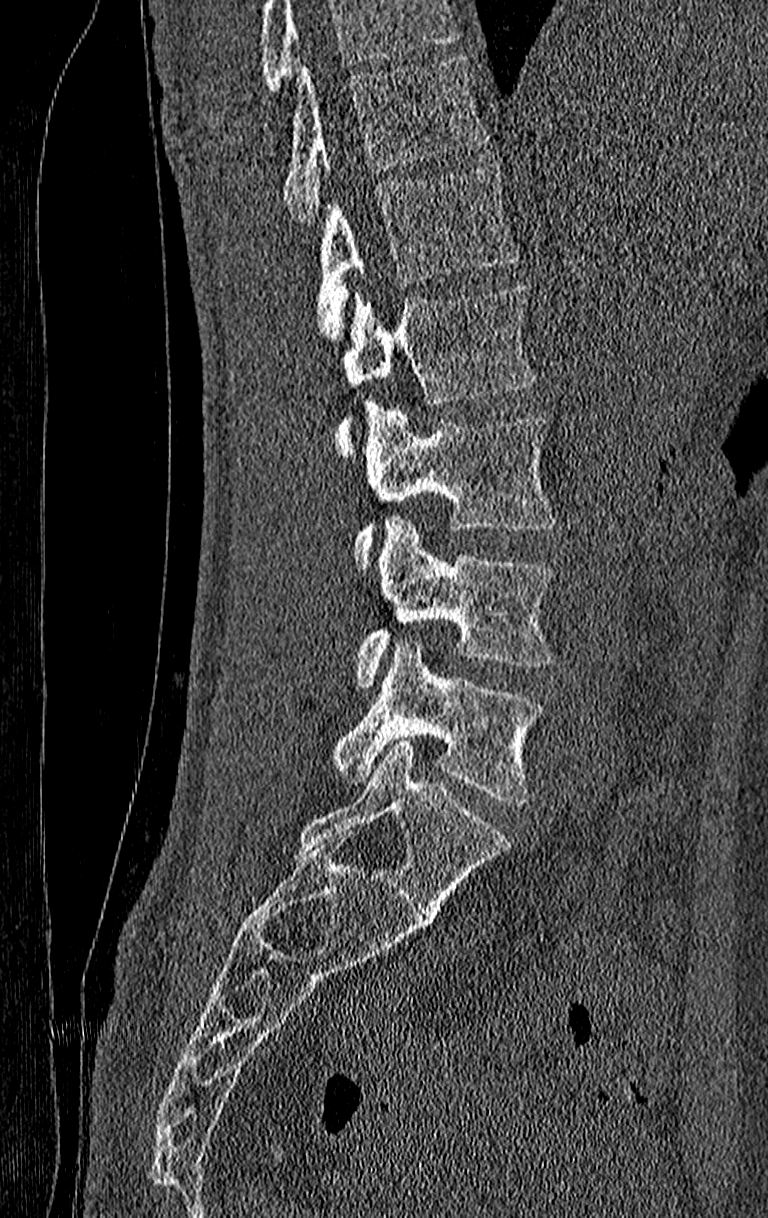
CT; sagittal reformat
Boxes: x1:y1:x2:y2 in pixels.
A vertebra cut off by the top edge of the scan is not labeled and has no box.
This scan's labels start at T11 at the top and end at L4 at the bottom.
Vertebra bounding boxes:
- T11: 284:56:488:223
- T12: 317:161:517:340
- L1: 335:286:535:457
- L2: 353:403:557:567
- L3: 357:517:554:687
- L4: 335:637:543:804